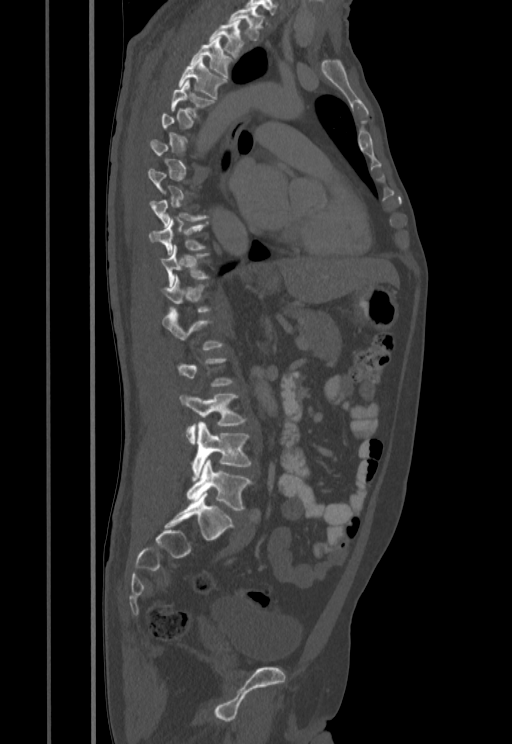

CT spine. sagittal reformat. 455 mm image width
Each vertebra maps to its box as [x1, y1, x2, y2], the pixel coordinates of its top-left and bottom-right corners.
Not every vertebra on this slice has a box: a vertebra is boxed only from the first to the last slice where its cross-section is at least a third of its largest, and this slice is outside that range for at least one of them.
{"vertebrae":{"T1":[228,8,263,40],"T2":[209,21,243,58],"T3":[190,37,233,78],"T4":[178,59,226,99],"T5":[170,80,215,117],"T9":[150,200,209,227],"T10":[148,222,207,255],"T11":[160,246,209,286],"T12":[161,276,212,313],"L1":[162,308,224,349],"L3":[179,392,246,443],"L4":[192,422,251,480],"L5":[187,460,252,510]}}